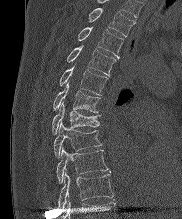
CT; sagittal view; 182x219 px

Labels in this scan begin with T2 at the top and end with T10 at the bottom.
<vertebrae><v name="T2" x1="88" y1="8" x2="134" y2="36"/><v name="T3" x1="77" y1="27" x2="123" y2="58"/><v name="T4" x1="66" y1="46" x2="116" y2="75"/><v name="T5" x1="59" y1="66" x2="107" y2="95"/><v name="T6" x1="53" y1="83" x2="101" y2="112"/><v name="T7" x1="52" y1="102" x2="99" y2="134"/><v name="T8" x1="53" y1="123" x2="101" y2="157"/><v name="T9" x1="56" y1="148" x2="110" y2="183"/><v name="T10" x1="58" y1="172" x2="113" y2="208"/></vertebrae>